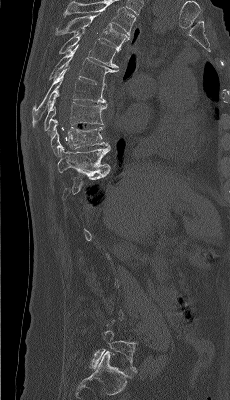
CT, spine; sagittal view; Bone window (WL 400, WW 1800)

Boxes below are [x1, y1, x2, y2] in pixels.
A vertebra is boxed only from the first to the last slice where its cross-section is at least a third of its largest; slices outside that range leave it without a box.
Labels in this scan begin with T4 at the top and end with L5 at the bottom.
{"vertebrae":{"L5":[89,330,138,371],"T10":[57,146,110,176],"T9":[49,120,109,156],"T8":[44,91,107,131],"T7":[32,69,106,127],"T6":[49,46,118,86],"T5":[59,30,120,68],"T4":[55,12,129,47]}}